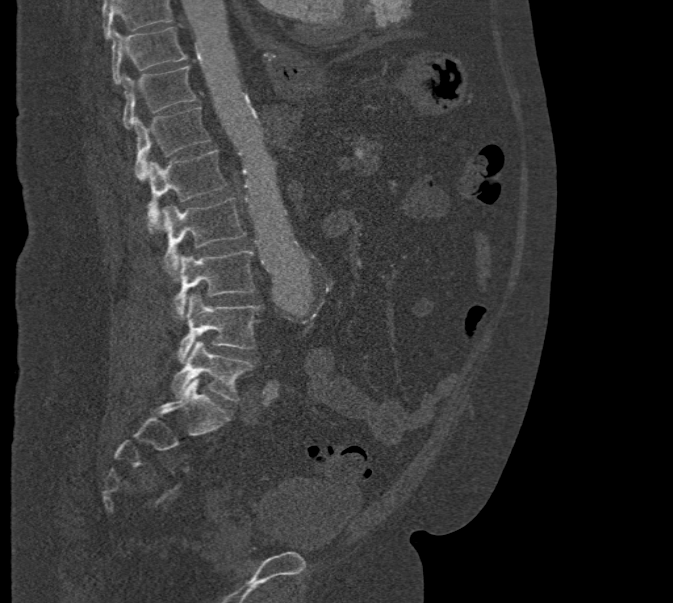
CT, spine — sagittal reformat
Each box given as x1,y1,x2,y2.
Where the top of the scan cuts through a vertebra, that vertebra gets no label or box.
T10: x1=112, y1=28, x2=186, y2=84
T11: x1=122, y1=66, x2=196, y2=128
T12: x1=134, y1=106, x2=211, y2=179
L1: x1=146, y1=150, x2=226, y2=231
L2: x1=162, y1=198, x2=245, y2=277
L3: x1=172, y1=250, x2=255, y2=319
L4: x1=177, y1=293, x2=262, y2=362
L5: x1=171, y1=340, x2=253, y2=401